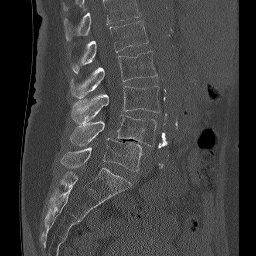
CT spine — sagittal view — image width 256 mm — 256x256 px
Each box given as x1,y1,x2,y2.
Labels in this scan begin with L1 at the top and end with L5 at the bottom.
Vertebra bounding boxes:
- L1: x1=71, y1=21, x2=148, y2=73
- L2: x1=70, y1=51, x2=157, y2=98
- L3: x1=71, y1=85, x2=160, y2=124
- L4: x1=70, y1=115, x2=156, y2=146
- L5: x1=61, y1=138, x2=141, y2=171